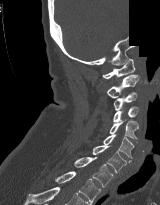
CT · sagittal view · W/L 1800/400 HU · 160x205 px · some of the image was removed or blocked out with constant pixels. Boxes: x1 y1 x2 y2 (pixel coords, space-separated).
C1: 102 59 135 78
C2: 106 74 139 98
C3: 113 92 137 110
C4: 113 106 138 122
C5: 109 119 138 139
C6: 103 134 134 158
C7: 92 145 131 172
T1: 74 157 113 187
T2: 54 171 101 204